Computed tomography of the spine. sagittal plane, index 279. scan covers 18 annotated vertebrae
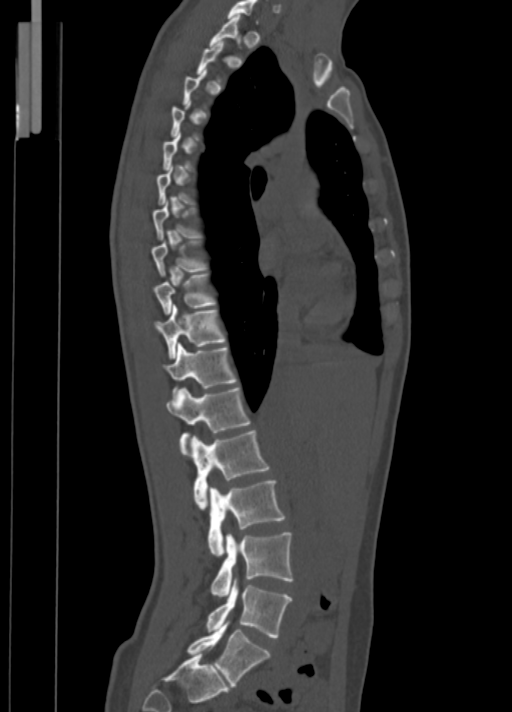 A vertebra is boxed only from the first to the last slice where its cross-section is at least a third of its largest; slices outside that range leave it without a box.
<vertebrae><v name="C7" x1="227" y1="0" x2="258" y2="22"/><v name="T1" x1="209" y1="15" x2="241" y2="47"/><v name="T7" x1="153" y1="199" x2="202" y2="239"/><v name="T8" x1="152" y1="240" x2="208" y2="277"/><v name="T9" x1="155" y1="274" x2="217" y2="315"/><v name="T10" x1="155" y1="304" x2="227" y2="359"/><v name="T11" x1="165" y1="344" x2="237" y2="394"/><v name="T12" x1="167" y1="388" x2="250" y2="455"/><v name="L1" x1="193" y1="430" x2="269" y2="508"/><v name="L2" x1="207" y1="480" x2="285" y2="555"/><v name="L3" x1="210" y1="532" x2="293" y2="596"/><v name="L4" x1="206" y1="581" x2="291" y2="638"/><v name="L5" x1="187" y1="623" x2="271" y2="687"/></vertebrae>